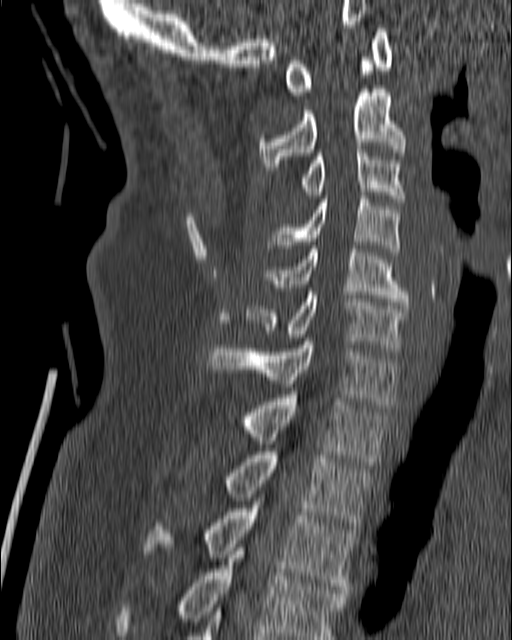

CT, spine · sagittal view · image width 180 mm · 512x640 px. Boxes: x1 y1 x2 y2 (pixel coords, space-separated).
Vertebra bounding boxes:
- T4: 113 544 347 639
- T3: 143 501 355 593
- T2: 223 452 373 532
- T1: 240 395 387 465
- C7: 209 341 398 408
- C6: 246 288 407 351
- C5: 265 245 410 305
- C4: 265 192 401 255
- C3: 300 146 407 202
- C2: 259 85 407 170
- C1: 284 28 392 95